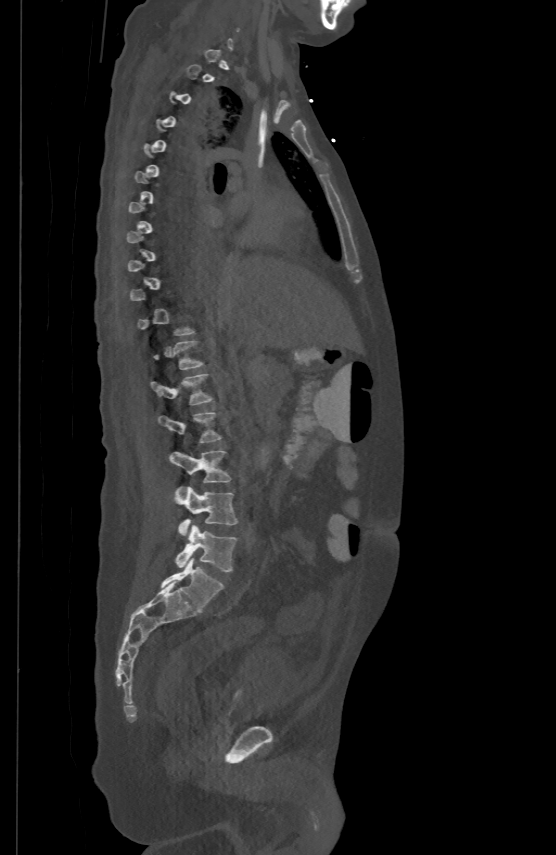 Computed tomography of the spine; sagittal reformat; 500 mm image width

Boxes: x1 y1 x2 y2 (pixel coords, space-separated). A vertebra is boxed only from the first to the last slice where its cross-section is at least a third of its largest; slices outside that range leave it without a box. Vertebrae labeled: L1 at 151 373 214 404, L2 at 157 411 221 443, L3 at 169 450 231 482, L4 at 175 486 237 535, L5 at 176 525 237 571.